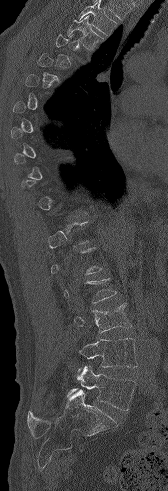

Computed tomography of the spine. sagittal view. 168x491 px

Boxes are (x1, y1, x2, y2) in pixels.
A vertebra is boxed only from the first to the last slice where its cross-section is at least a third of its largest; slices outside that range leave it without a box.
No box is given to a vertebra that the top edge of the scan cuts off.
Vertebra bounding boxes:
- L5: (67, 365, 136, 410)
- L4: (77, 338, 137, 373)
- L3: (74, 303, 132, 333)
- T3: (67, 15, 104, 49)